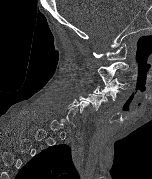

Spine CT; sagittal reformat; 152x179 px

Each vertebra maps to its box as [x1, y1, x2, y2], the pixel coordinates of its top-left and bottom-right corners.
Not every vertebra on this slice has a box: a vertebra is boxed only from the first to the last slice where its cross-section is at least a third of its largest, and this slice is outside that range for at least one of them.
{"vertebrae":{"C1":[93,42,126,60],"C2":[98,62,128,85],"C3":[101,78,129,91],"C4":[93,86,120,101],"C5":[79,93,108,110],"C6":[67,99,89,113]}}